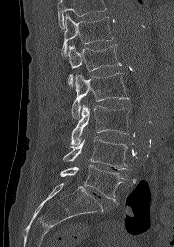
CT — sagittal reformat — image width 174 mm — Bone window (WL 400, WW 1800). In the table, x1 and y1 are a box's top-left corner and x2 and y2 its bottom-right corner, in pixels.
Vertebrae that run past the top of the scan are left unlabeled.
| vertebra | x1 | y1 | x2 | y2 |
|---|---|---|---|---|
| T12 | 61 | 14 | 113 | 56 |
| L1 | 67 | 44 | 121 | 86 |
| L2 | 71 | 73 | 129 | 119 |
| L3 | 71 | 104 | 129 | 145 |
| L4 | 63 | 136 | 129 | 169 |
| L5 | 60 | 164 | 124 | 203 |